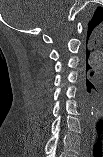

CT spine — sagittal view — 103x157 px

Each vertebra maps to its box as [x1, y1, x2, y2], the pixel coordinates of its top-left and bottom-right corners.
In this scan, the topmost labeled vertebra is C1 and the lowest is C7.
{"vertebrae":{"C1":[43,22,82,42],"C2":[49,38,80,60],"C3":[55,56,79,71],"C4":[54,71,77,85],"C5":[54,86,76,99],"C6":[52,100,80,116],"C7":[51,115,80,134]}}